CT spine · Sagittal slice 323/512 · 11 vertebrae labeled in this scan
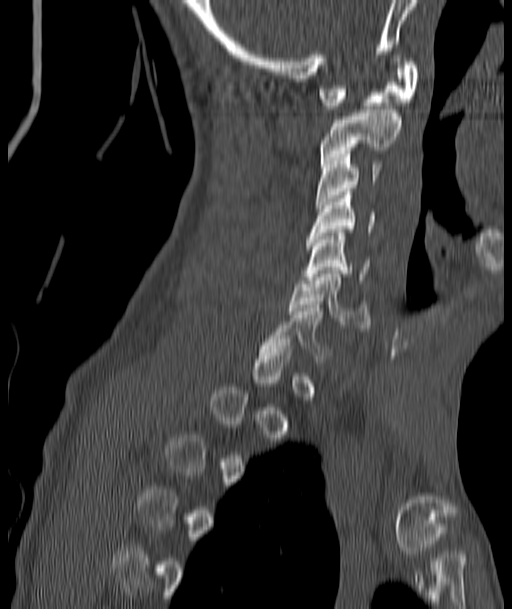
Each box is [x1, y1, x2, y2] in pixels: top-left corner, then bottom-right corner.
A vertebra is boxed only from the first to the last slice where its cross-section is at least a third of its largest; slices outside that range leave it without a box.
{"vertebrae":{"C1":[318,62,419,109],"C2":[321,110,402,163],"C3":[316,151,381,208],"C4":[307,192,375,239],"C5":[305,229,369,283],"C6":[288,270,370,328]}}